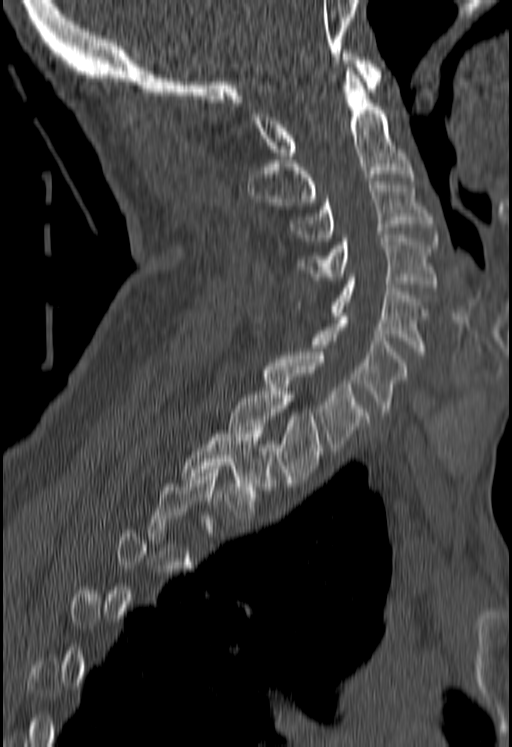
Spine computed tomography · sagittal view · 512x747 px · image width 180 mm
Box values are [left, top, right, bottom] in pixels.
A vertebra is boxed only from the first to the last slice where its cross-section is at least a third of its largest; slices outside that range leave it without a box.
{"vertebrae":{"C1":[250,53,381,159],"C2":[248,68,412,205],"C3":[291,181,432,241],"C4":[298,235,436,287],"C5":[331,277,427,355],"C6":[314,313,407,411],"C7":[265,352,367,451],"T1":[230,388,321,483],"T2":[182,427,270,511]}}